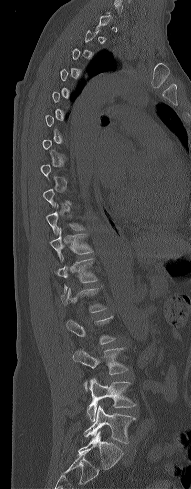
Spine CT · sagittal view · bone window · 191x489 px. Coordinates as <box>x1,y1,x2,y2</box>.
A vertebra is boxed only from the first to the last slice where its cross-section is at least a third of its largest; slices outside that range leave it without a box.
Vertebra bounding boxes:
- T11: <box>50,230,93,261</box>
- T12: <box>55,258,97,291</box>
- L1: <box>60,288,107,312</box>
- L3: <box>73,347,128,390</box>
- L4: <box>87,378,136,421</box>
- L5: <box>84,404,135,443</box>